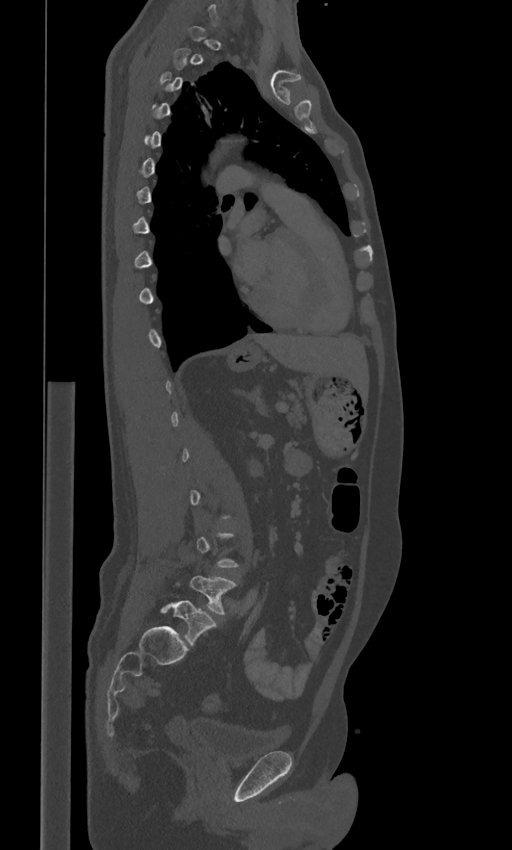

Computed tomography of the spine; sagittal view; 443 mm across the image
Boxes: x1 y1 x2 y2 (pixel coords, space-separated).
A vertebra gets a box only on the slices from the first to the last where its cross-section is at least a third of its largest; on a slice outside that range it gets none.
In these labels the spine has an L6, a sixth lumbar vertebra below L5.
Vertebra bounding boxes:
- L5: 191 575 236 614
- L6: 160 583 216 645